Spine computed tomography · sagittal reformat · a uniform gray block covers part of the image
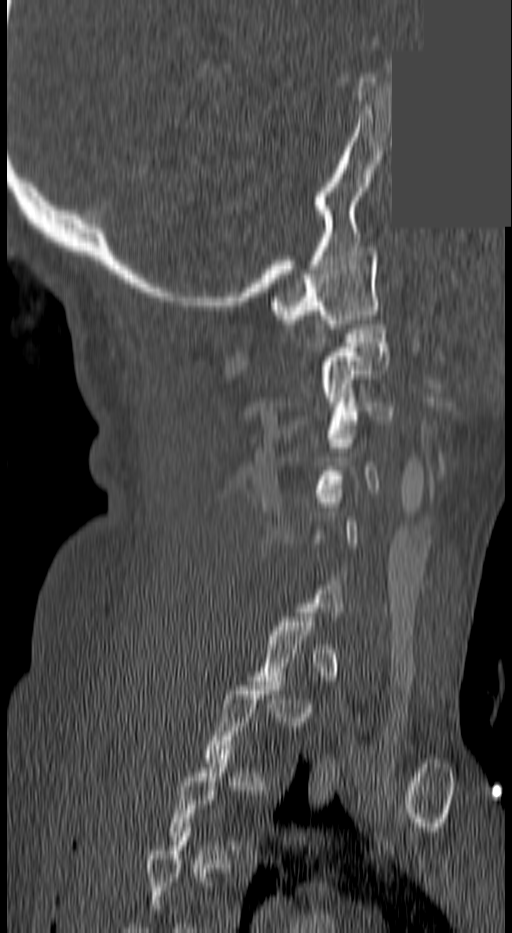 Each box given as x1,y1,x2,y2.
A vertebra gets a box only on the slices from the first to the last where its cross-section is at least a third of its largest; on a slice outside that range it gets none.
C1: x1=270, y1=247, x2=377, y2=328
C2: x1=323, y1=320, x2=389, y2=401
C3: x1=328, y1=393, x2=392, y2=442